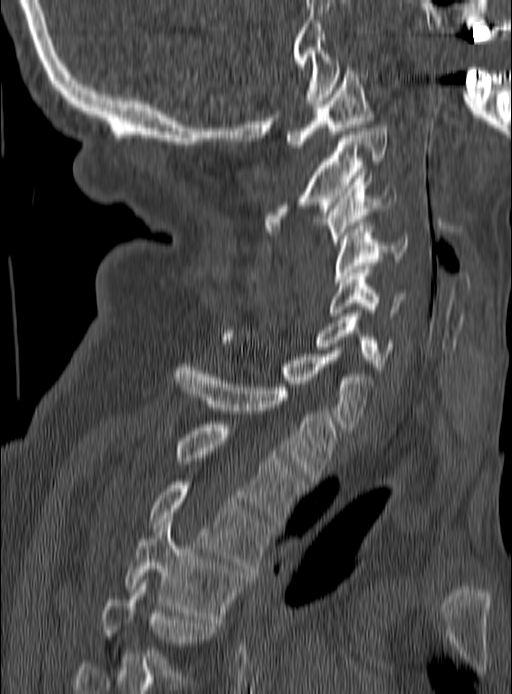

CT, spine; sagittal reformat
Boxes: x1:y1:x2:y2 in pixels.
Vertebra bounding boxes:
- T5: 101:579:215:683
- T4: 125:519:245:619
- T3: 149:482:272:572
- T2: 176:424:304:524
- T1: 175:364:337:481
- C7: 221:333:374:430
- C6: 316:313:393:370
- C5: 330:269:405:316
- C4: 335:222:406:282
- C3: 322:175:395:245
- C2: 265:125:388:231
- C1: 286:64:373:147